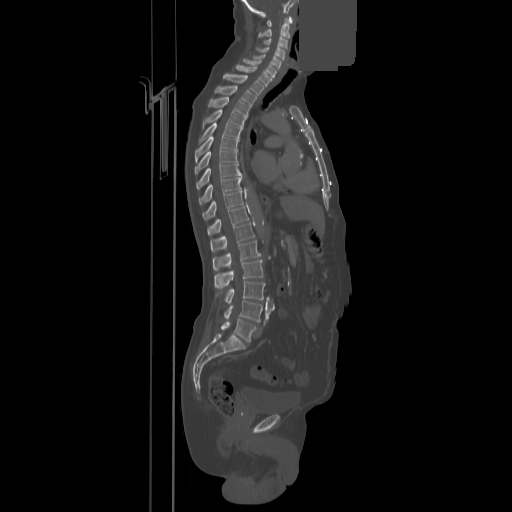 Spine CT; sagittal view; W/L 1800/400 HU; 858 mm image width; 512x512 px; a uniform gray block covers part of the image
Bounding boxes as [x1, y1, x2, y2] in pixel coordinates.
C1: [266, 16, 292, 26]
C2: [259, 17, 289, 37]
C3: [263, 37, 287, 49]
C4: [256, 46, 285, 60]
C5: [253, 53, 281, 70]
C6: [243, 58, 276, 77]
C7: [236, 65, 272, 86]
T1: [223, 74, 264, 95]
T2: [214, 85, 256, 105]
T3: [208, 97, 250, 116]
T4: [203, 109, 247, 128]
T5: [200, 122, 242, 141]
T6: [195, 136, 239, 162]
T7: [195, 149, 237, 174]
T8: [196, 163, 240, 189]
T9: [199, 174, 242, 204]
T10: [203, 190, 243, 219]
T11: [207, 206, 249, 235]
T12: [210, 222, 254, 251]
L1: [213, 240, 261, 270]
L2: [214, 259, 262, 288]
L3: [216, 281, 265, 303]
L4: [223, 300, 262, 321]
L5: [221, 318, 255, 342]